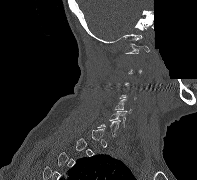 CT, spine; sagittal view; image width 197 mm; part of the image is constant black where the scan was masked
Boxes are (x1, y1, x2, y2) in pixels.
A vertebra gets a box only on the slices from the first to the last where its cross-section is at least a third of its largest; on a slice outside that range it gets none.
Vertebra bounding boxes:
- C1: (125, 43, 149, 53)
- C5: (115, 99, 132, 113)
- C6: (109, 110, 127, 127)